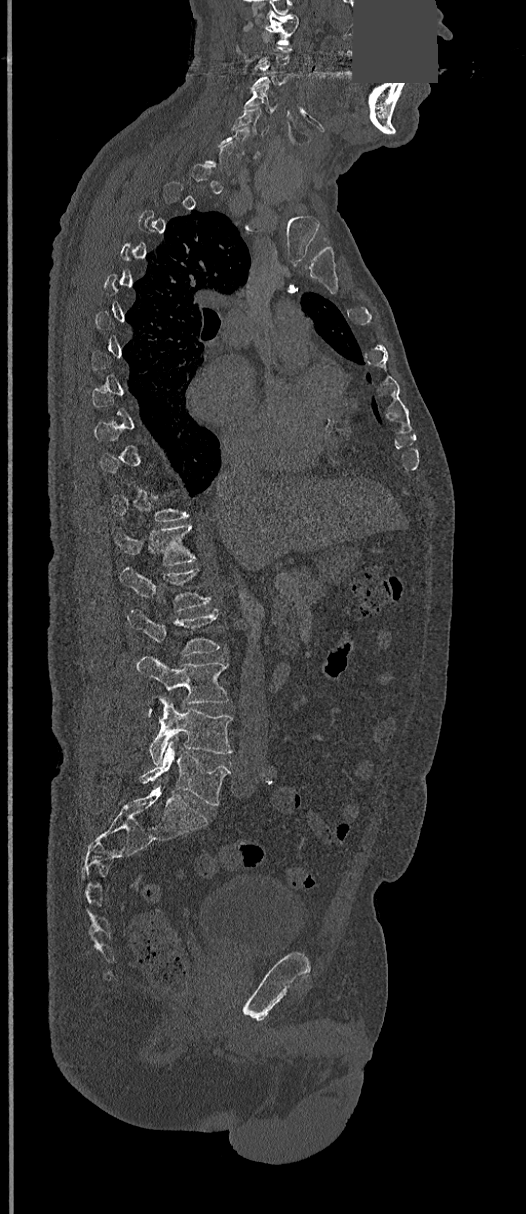

CT — sagittal view — a region of this slice is masked with a uniform fill

Box edges are left/top/right/bottom in pixels. Each vertebra is boxed only on the slices from the first to the last where its cross-section reaches a third of its largest, so a slice outside that range leaves it unboxed. The labeled vertebrae in this slice are: C1 at left=264, top=16, right=298, bottom=44, C3 at left=250, top=60, right=288, bottom=88, C4 at left=244, top=87, right=278, bottom=113, C5 at left=233, top=104, right=271, bottom=133, T12 at left=114, top=524, right=194, bottom=566, L1 at left=120, top=567, right=211, bottom=610, L2 at left=127, top=609, right=219, bottom=655, L3 at left=137, top=656, right=229, bottom=703, L4 at left=150, top=697, right=233, bottom=765, L5 at left=140, top=740, right=230, bottom=805.